CT, spine. sagittal view. W/L 1800/400 HU. scan covers 11 annotated vertebrae
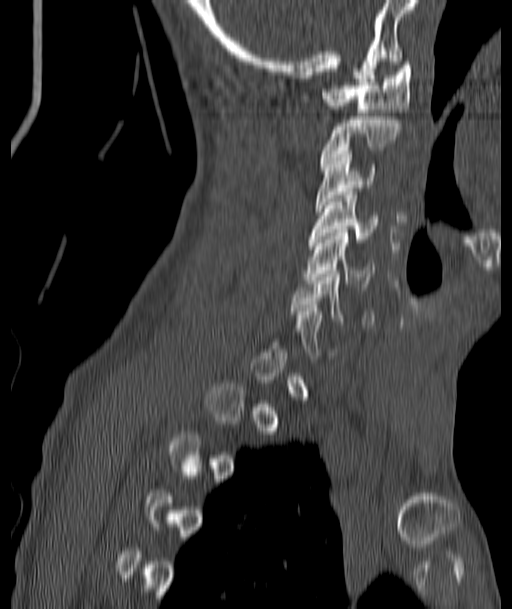 Coordinates as <box>x1,y1,x2,y2</box>. Not every vertebra on this slice has a box: a vertebra is boxed only from the first to the last slice where its cross-section is at least a third of its largest, and this slice is outside that range for at least one of them. The labeled vertebrae in this slice are: C1 at <box>321,62,412,112</box>, C2 at <box>321,113,400,163</box>, C3 at <box>316,147,375,211</box>, C4 at <box>309,192,378,242</box>, C5 at <box>305,229,376,286</box>, C6 at <box>291,270,374,328</box>.